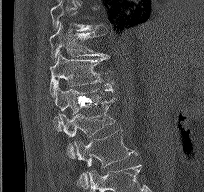

Spine computed tomography — sagittal view — bone window — 204x192 px. Columns x1, y1, x2, y2 give each box's top-left and bottom-right pixels.
| vertebra | x1 | y1 | x2 | y2 |
|---|---|---|---|---|
| L2 | 74 | 129 | 137 | 184 |
| L1 | 61 | 98 | 116 | 159 |
| T12 | 52 | 81 | 114 | 131 |
| T11 | 49 | 51 | 112 | 95 |
| T10 | 49 | 23 | 107 | 62 |
| T9 | 50 | 0 | 107 | 32 |